CT, spine — Sagittal slice 238/512 — scan covers 17 annotated vertebrae
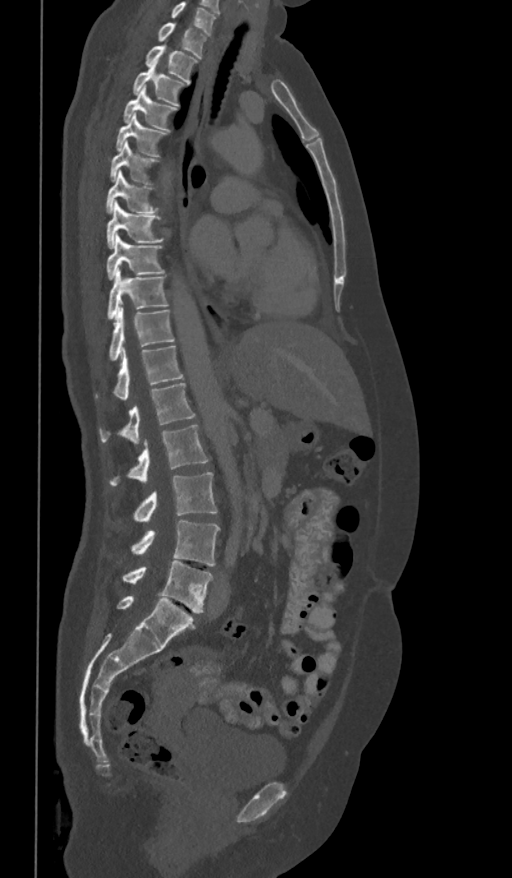
Boxes: x1:y1:x2:y2 in pixels.
This scan's labels start at T1 at the top and end at L5 at the bottom.
T1: 157:23:207:58
T2: 144:46:197:83
T3: 132:61:184:106
T4: 123:86:177:132
T5: 115:114:168:157
T6: 109:140:159:184
T7: 105:171:159:213
T8: 106:200:164:248
T9: 106:235:165:279
T10: 106:268:169:319
T11: 108:306:175:362
T12: 95:345:183:400
L1: 99:383:196:443
L2: 109:425:209:485
L3: 133:472:217:521
L4: 130:520:220:566
L5: 122:560:213:612